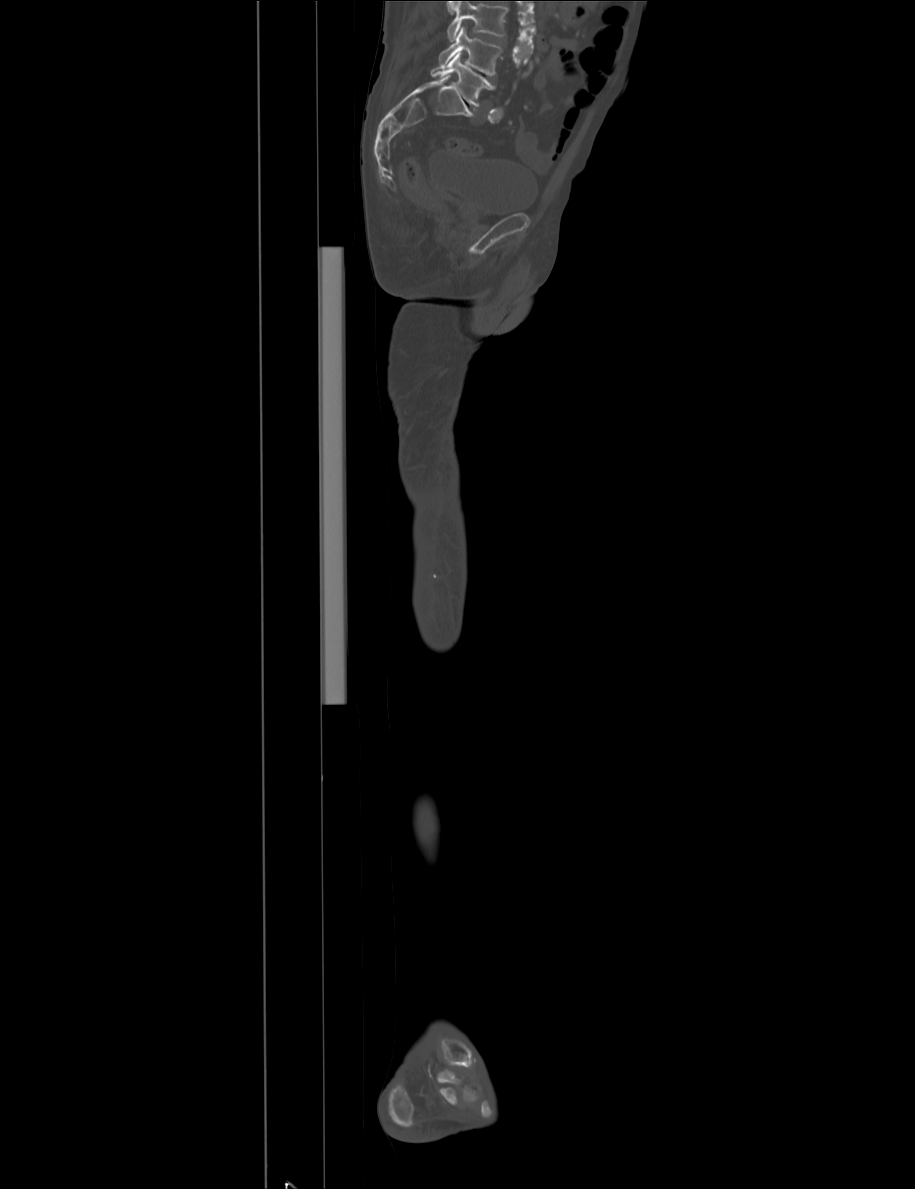

Spine CT — sagittal view — 915x1189 px
Each row gives a vertebra's box as x1, y1, x2, y2 in pixels: top-left corner, then bottom-right corner.
Where the top of the scan cuts through a vertebra, that vertebra gets no label or box.
| vertebra | x1 | y1 | x2 | y2 |
|---|---|---|---|---|
| L4 | 439 | 26 | 501 | 76 |
| L5 | 430 | 52 | 495 | 106 |